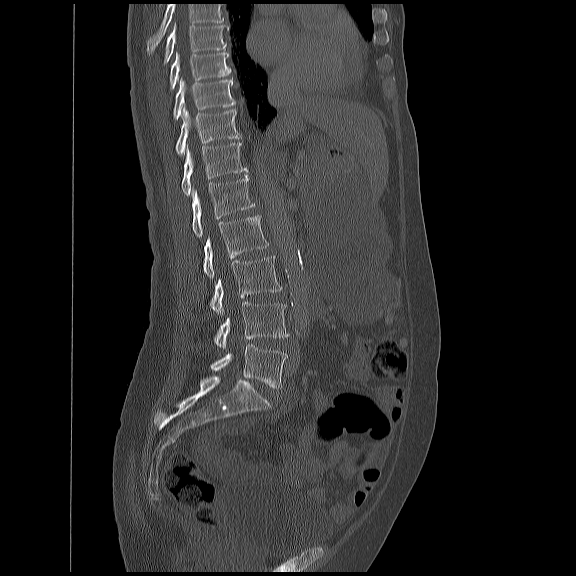

CT, spine · sagittal view. Coordinates as <box>x1,y1,x2,y2</box>.
Where the top of the scan cuts through a vertebra, that vertebra gets no label or box.
L5: <box>209,345,286,388</box>
L4: <box>213,301,289,349</box>
L3: <box>208,254,281,314</box>
L2: <box>202,214,267,277</box>
L1: <box>192,175,254,237</box>
T12: <box>180,140,247,195</box>
T11: <box>174,106,239,154</box>
T10: <box>171,78,234,119</box>
T9: <box>168,51,230,88</box>
T8: <box>162,21,228,63</box>